CT, spine · Sagittal slice 332/512 · scan covers 10 annotated vertebrae
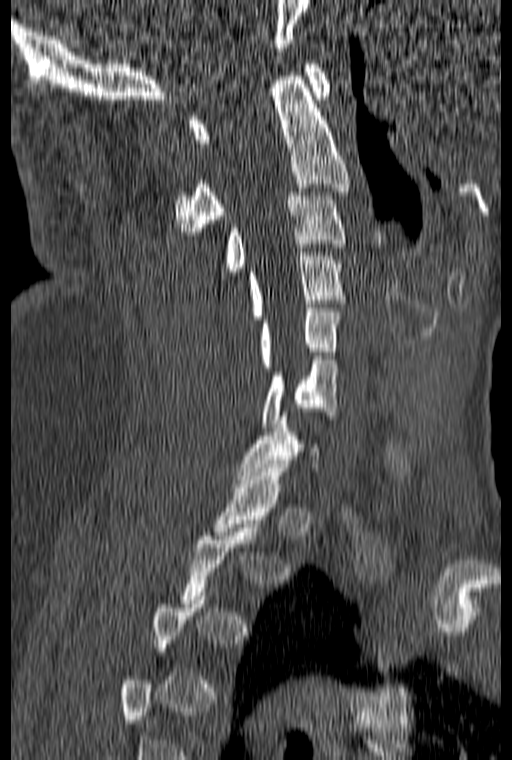
Boxes: x1 y1 x2 y2 (pixel coords, space-separated).
A vertebra gets a box only on the slices from the first to the last where its cross-section is at least a third of its largest; on a slice outside that range it gets none.
Vertebra bounding boxes:
- C1: 189 60 330 143
- C2: 174 72 350 235
- C3: 221 192 346 275
- C4: 248 252 343 319
- C5: 260 308 340 367
- C6: 263 356 337 427